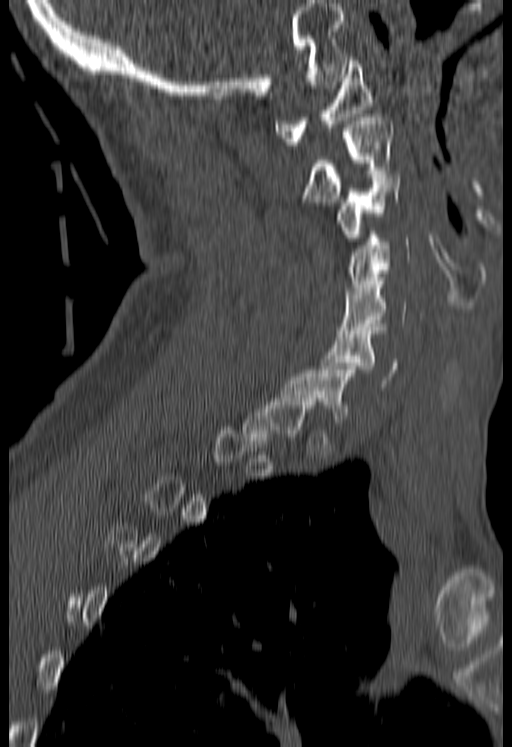
Spine CT — sagittal reformat

In the table, x1 and y1 are a box's top-left corner and x2 and y2 its bottom-right corner, in pixels.
A vertebra is boxed only from the first to the last slice where its cross-section is at least a third of its largest; slices outside that range leave it without a box.
| vertebra | x1 | y1 | x2 | y2 |
|---|---|---|---|---|
| C1 | 275 | 60 | 373 | 145 |
| C2 | 305 | 114 | 392 | 205 |
| C3 | 337 | 174 | 398 | 241 |
| C4 | 345 | 231 | 410 | 294 |
| C5 | 337 | 277 | 406 | 333 |
| C6 | 321 | 327 | 398 | 387 |